Computed tomography of the spine — sagittal reformat — bone-window reconstruction — image width 140 mm — 12 vertebrae labeled in this scan
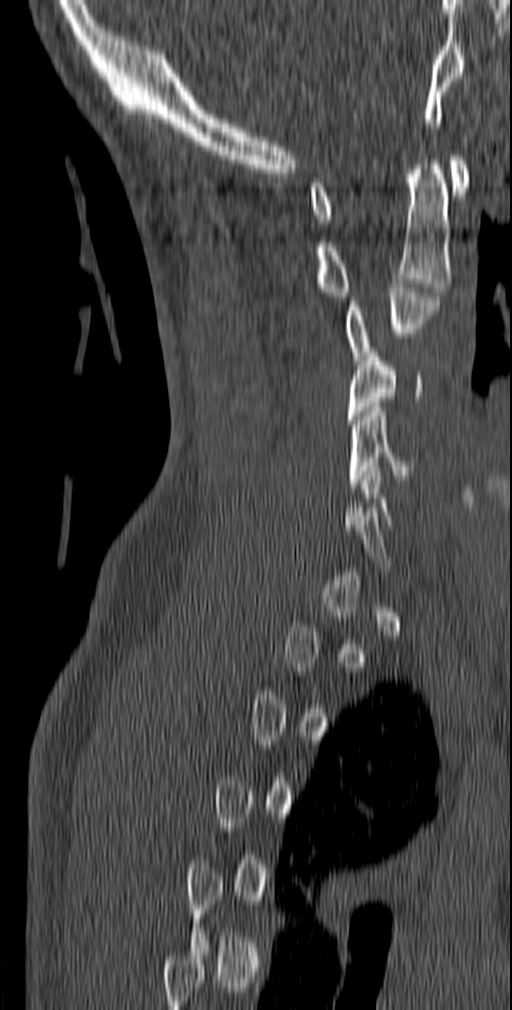
Boxes below are [x1, y1, x2, y2] in pixels.
A vertebra is boxed only from the first to the last slice where its cross-section is at least a third of its largest; slices outside that range leave it without a box.
{"vertebrae":{"C1":[309,155,470,223],"C2":[316,155,451,301],"C3":[345,283,439,360],"C4":[346,347,422,424],"C5":[348,407,419,488]}}